Spine computed tomography. sagittal reformat. 173x184 px. scan covers 8 annotated vertebrae. some of the image was removed or blocked out with constant pixels
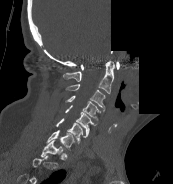 Each row gives a vertebra's box as x1, y1, x2, y2 in pixels: top-left corner, then bottom-right corner.
Labels in this scan begin with C1 at the top and end with T1 at the bottom.
| vertebra | x1 | y1 | x2 | y2 |
|---|---|---|---|---|
| T1 | 40 | 140 | 62 | 157 |
| C7 | 47 | 130 | 74 | 150 |
| C6 | 55 | 118 | 88 | 143 |
| C5 | 65 | 105 | 96 | 132 |
| C4 | 65 | 95 | 100 | 120 |
| C3 | 65 | 84 | 105 | 111 |
| C2 | 63 | 60 | 114 | 93 |
| C1 | 80 | 61 | 119 | 70 |